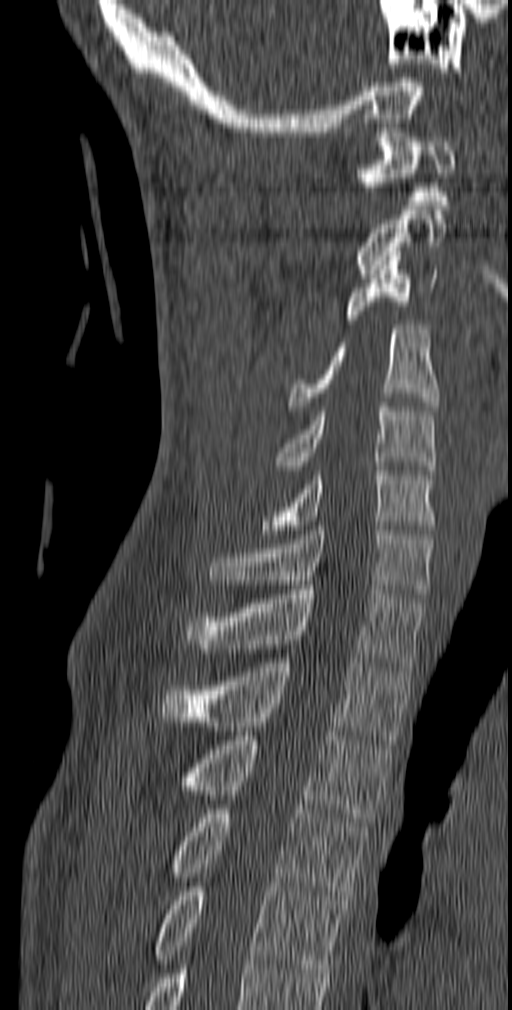 CT, spine — sagittal reformat — 140 mm image width — 512x1010 px
Coordinates as <box>x1,y1,x2,y2</box>. Vertebrae labeled: C1 at <box>356,133,455,205</box>, C2 at <box>356,210,447,278</box>, C3 at <box>345,251,437,324</box>, C4 at <box>287,325,439,410</box>, C5 at <box>275,407,436,474</box>, C6 at <box>261,466,436,534</box>, C7 at <box>208,526,434,598</box>, T1 at <box>185,585,424,671</box>, T2 at <box>161,658,412,740</box>, T3 at <box>173,736,391,826</box>, T4 at <box>166,809,367,900</box>, T5 at <box>151,882,348,973</box>.